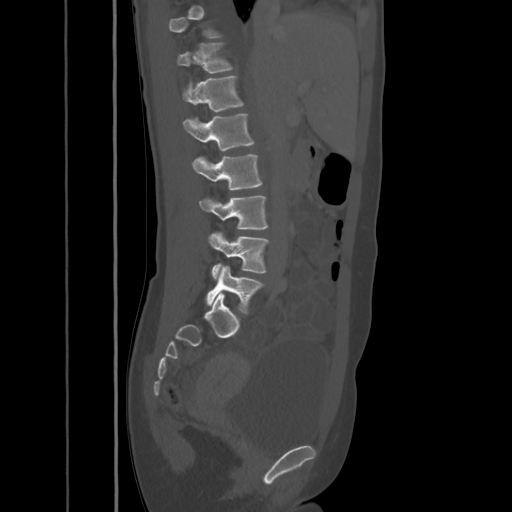

CT, spine. image width 425 mm. sagittal reformat. 512x512 px
Boxes are (x1, y1, x2, y2) in pixels.
A vertebra is boxed only from the first to the last slice where its cross-section is at least a third of its largest; slices outside that range leave it without a box.
Vertebra bounding boxes:
- T11: (177, 42, 233, 73)
- T12: (182, 76, 244, 111)
- L1: (183, 113, 253, 150)
- L2: (192, 154, 262, 189)
- L3: (199, 195, 268, 229)
- L4: (209, 231, 269, 279)
- L5: (206, 265, 264, 314)